Spine CT. sagittal plane, index 31. image 161 mm wide. W/L 1800/400 HU. 161x338 px. scan covers 9 annotated vertebrae
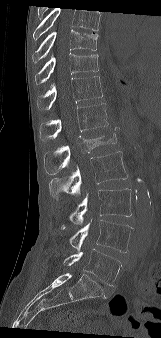
Columns x1, y1, x2, y2 give each box's top-left and bottom-right pixels.
Where the top of the scan cuts through a vertebra, that vertebra gets no label or box.
| vertebra | x1 | y1 | x2 | y2 |
|---|---|---|---|---|
| T9 | 32 | 29 | 98 | 63 |
| T10 | 35 | 52 | 98 | 84 |
| T11 | 37 | 76 | 103 | 109 |
| T12 | 39 | 103 | 108 | 141 |
| L1 | 44 | 127 | 117 | 174 |
| L2 | 49 | 151 | 127 | 201 |
| L3 | 61 | 188 | 131 | 229 |
| L4 | 69 | 219 | 132 | 252 |
| L5 | 63 | 248 | 121 | 285 |